Spine computed tomography — 401 mm wide — sagittal reformat — bone-window reconstruction
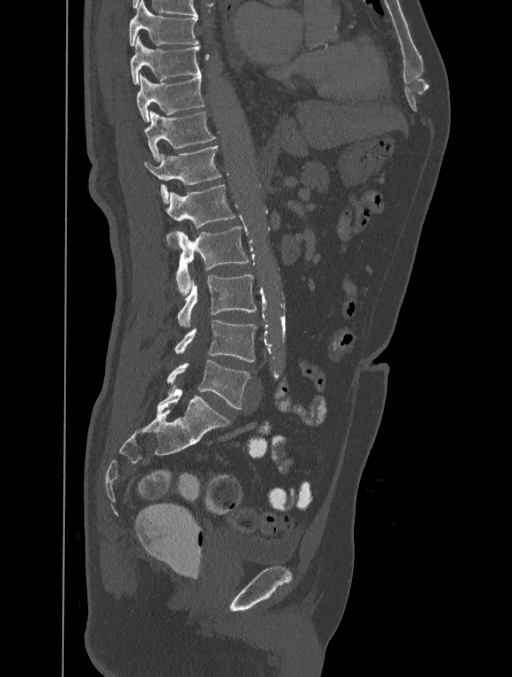 Boxes: x1 y1 x2 y2 (pixel coords, space-separated). 10 vertebrae labeled — T8 at 129 1 198 45; T9 at 130 36 201 83; T10 at 136 72 204 122; T11 at 144 111 216 161; T12 at 144 146 221 202; L1 at 165 184 235 246; L2 at 174 226 248 295; L3 at 177 275 255 328; L4 at 175 319 255 362; L5 at 167 360 250 409.